CT · sagittal plane, index 347
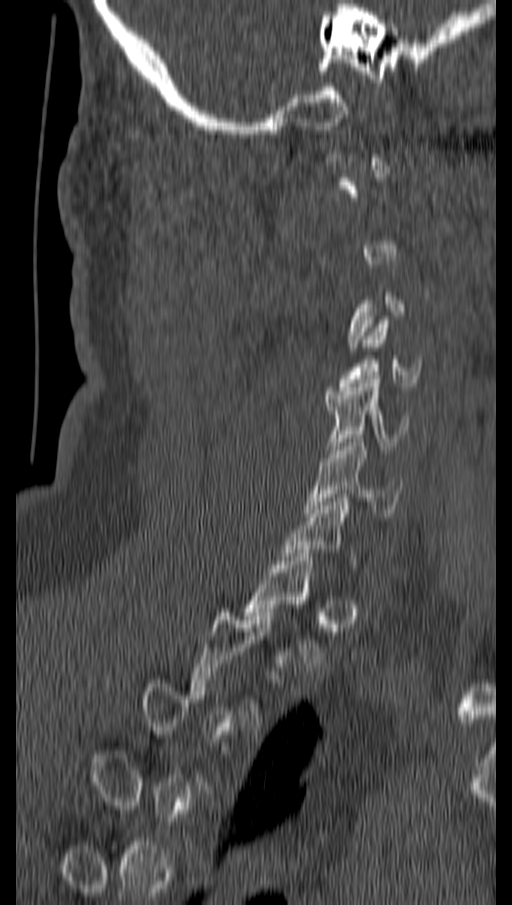 Bounding boxes as [x1, y1, x2, y2] in pixel coordinates. Not every vertebra on this slice has a box: a vertebra is boxed only from the first to the last slice where its cross-section is at least a third of its largest, and this slice is outside that range for at least one of them. The labeled vertebrae in this slice are: C4 at [339, 320, 421, 390], C5 at [326, 379, 407, 453], C6 at [305, 435, 402, 513], T1 at [244, 553, 322, 667].